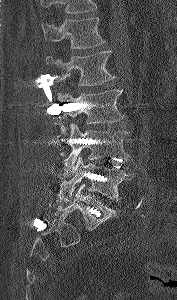

Computed tomography of the spine. sagittal view. 177x300 px
In the table, x1 and y1 are a box's top-left corner and x2 and y2 its bottom-right corner, in pixels.
Vertebrae that run past the top of the scan are left unlabeled.
| vertebra | x1 | y1 | x2 | y2 |
|---|---|---|---|---|
| L5 | 59 | 156 | 133 | 202 |
| L4 | 64 | 123 | 130 | 171 |
| L3 | 55 | 89 | 124 | 140 |
| L2 | 45 | 50 | 115 | 85 |
| L1 | 42 | 17 | 105 | 48 |